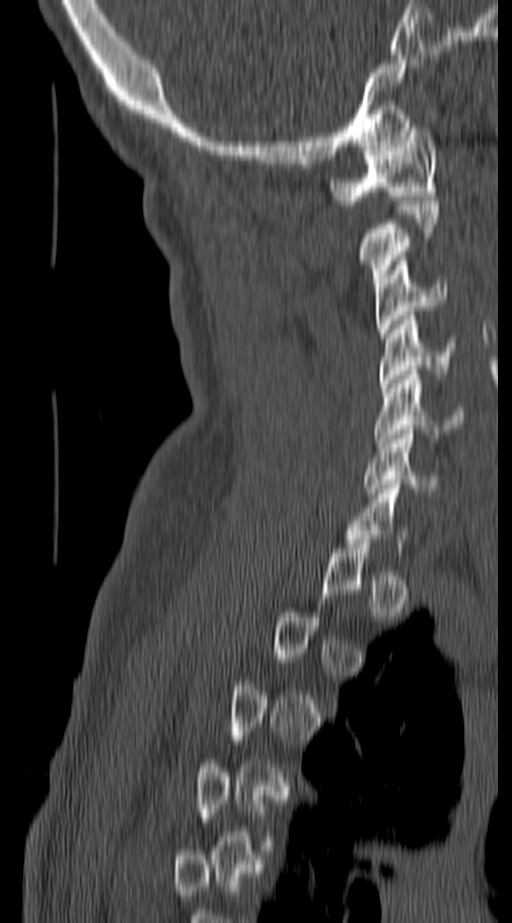
Spine computed tomography; sagittal view; image 140 mm wide
Boxes are (x1, y1, x2, y2) in pixels.
A vertebra gets a box only on the slices from the first to the last where its cross-section is at least a third of its largest; on a slice outside that range it gets none.
Vertebra bounding boxes:
- C1: (330, 123, 437, 205)
- C2: (356, 201, 439, 287)
- C3: (374, 256, 446, 337)
- C4: (378, 315, 454, 388)
- C5: (374, 370, 466, 447)
- C6: (363, 430, 440, 493)